CT spine. Sagittal slice 267/512. bone window. 812x1497 px. 500 mm image width. a region is masked with a constant gray value
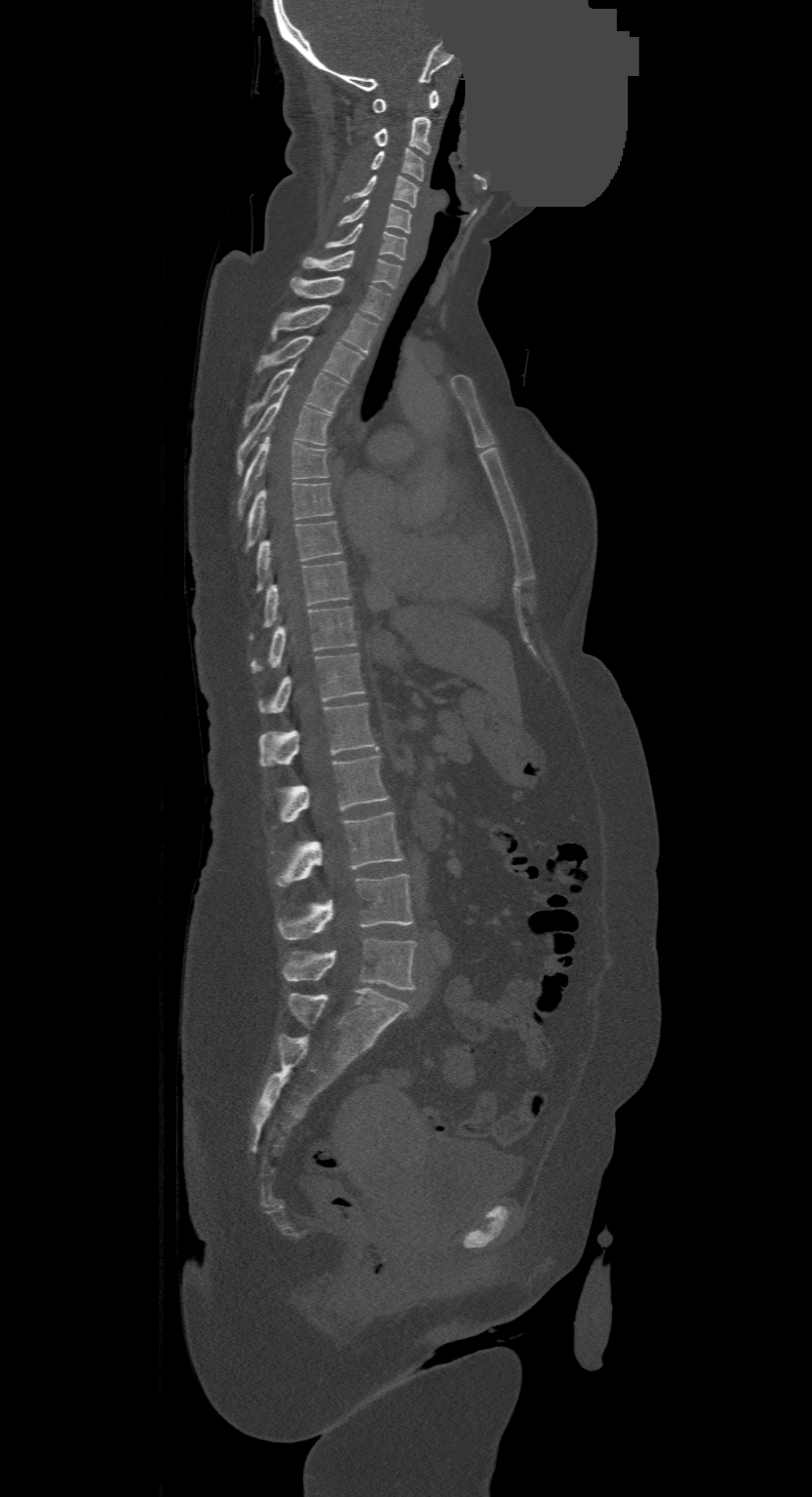 Boxes are (x1, y1, x2, y2) in pixels. Labels in this scan begin with C1 at the top and end with L4 at the bottom. The labeled vertebrae in this slice are: C1 at (371, 90, 437, 111), C2 at (374, 116, 429, 154), C3 at (369, 148, 423, 179), C4 at (346, 176, 418, 208), C5 at (338, 199, 410, 233), C6 at (326, 223, 406, 259), C7 at (301, 251, 402, 289), T1 at (290, 277, 391, 320), T2 at (271, 304, 378, 354), T3 at (257, 335, 363, 383), T4 at (245, 368, 346, 425), T5 at (237, 392, 332, 472), T6 at (240, 434, 329, 511), T7 at (248, 483, 333, 545), T8 at (257, 522, 342, 589), T9 at (265, 561, 350, 625), T10 at (252, 607, 356, 671), T11 at (260, 653, 364, 713), T12 at (260, 702, 376, 765), L1 at (281, 755, 389, 822), L2 at (276, 811, 404, 886), L3 at (279, 873, 413, 939), L4 at (283, 938, 416, 989).